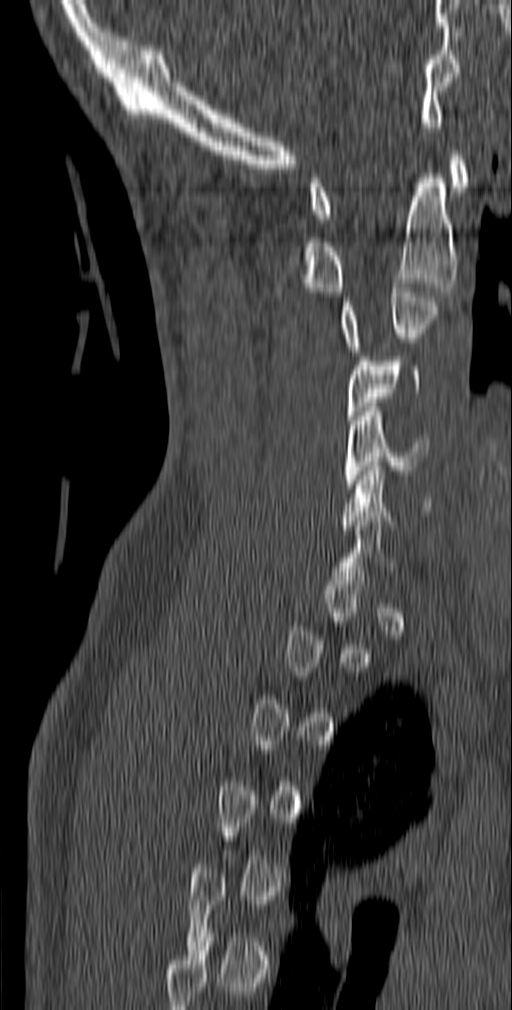 CT, spine; image width 140 mm; sagittal view; bone-window reconstruction; 512x1010 px

Boxes: x1 y1 x2 y2 (pixel coords, space-separated). Not every vertebra on this slice has a box: a vertebra is boxed only from the first to the last slice where its cross-section is at least a third of its largest, and this slice is outside that range for at least one of them. 6 vertebrae labeled — C6 at 341 462 433 529; C5 at 345 407 430 488; C4 at 347 357 420 420; C3 at 341 283 439 351; C2 at 301 174 458 292; C1 at 309 151 469 218.